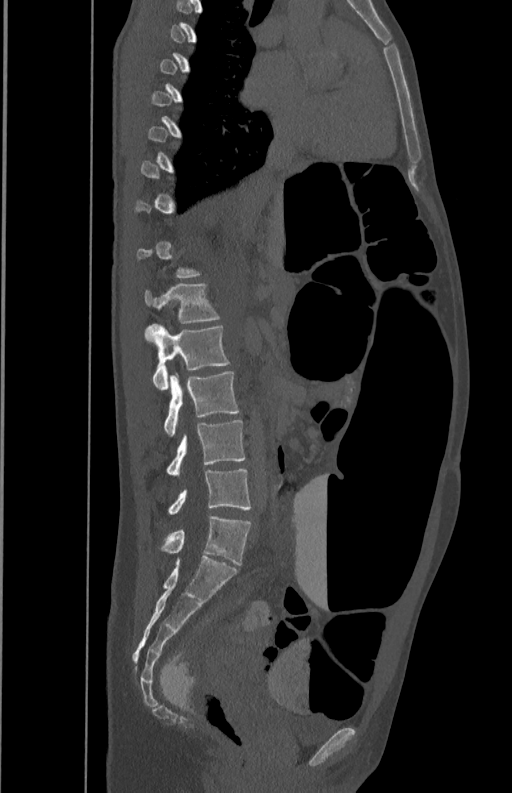

CT, spine · sagittal view · Bone window (WL 400, WW 1800) · image 350 mm wide
Boxes: x1 y1 x2 y2 (pixel coords, space-separated).
A vertebra is boxed only from the first to the last slice where its cross-section is at least a third of its largest; slices outside that range leave it without a box.
L1: 145 283 220 322
L2: 144 323 228 389
L3: 164 371 239 436
L4: 167 420 245 476
L5: 168 469 250 514